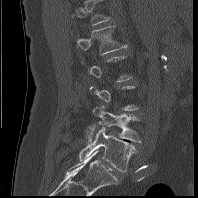 Spine computed tomography. sagittal view
Each vertebra maps to its box as [x1, y1, x2, y2], the pixel coordinates of its top-left and bottom-right corners.
A vertebra is boxed only from the first to the last slice where its cross-section is at least a third of its largest; slices outside that range leave it without a box.
This scan's labels start at L1 at the top and end at L5 at the bottom.
{"vertebrae":{"L5":[79,127,135,172],"L4":[86,105,141,142],"L1":[76,25,127,54]}}